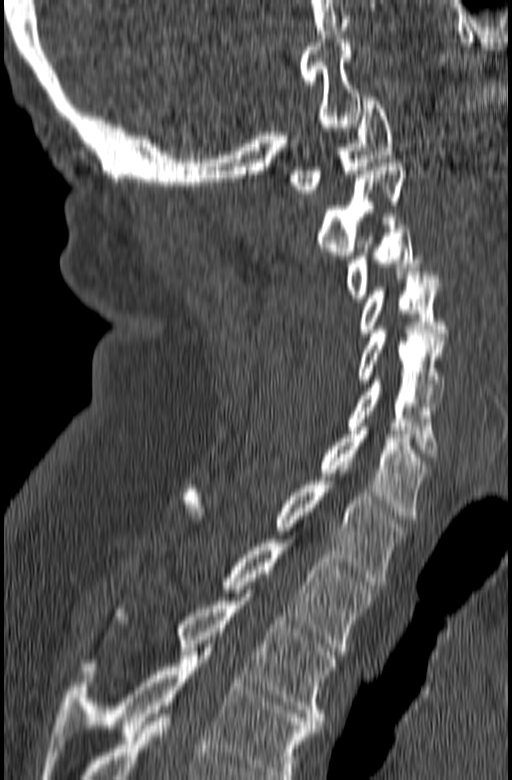
CT, spine; image width 165 mm; sagittal view

Each vertebra maps to its box as [x1, y1, x2, y2], the pixel coordinates of its top-left and bottom-right corners.
In this scan, the topmost labeled vertebra is C1 and the lowest is T3.
{"vertebrae":{"T3":[82,597,335,728],"T2":[222,539,380,651],"T1":[181,481,407,585],"C7":[314,427,431,523],"C6":[348,376,438,457],"C5":[358,326,446,402],"C4":[361,272,448,336],"C3":[345,217,428,302],"C2":[318,163,407,259],"C1":[289,97,393,197]}}